Spine CT · sagittal view · 228 mm across the image · bone window · 228x349 px
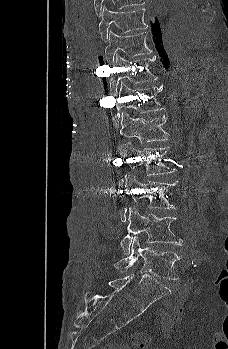

Box edges are left/top/right/bottom in pixels.
L5: left=114, top=236, right=181, bottom=279
L4: left=120, top=207, right=184, bottom=254
L3: left=119, top=174, right=178, bottom=222
L2: left=119, top=142, right=176, bottom=186
L1: left=120, top=112, right=169, bottom=146
T12: left=112, top=81, right=165, bottom=129
T11: left=110, top=53, right=157, bottom=96
T10: left=105, top=30, right=152, bottom=65
T9: left=99, top=6, right=148, bottom=41